Spine CT; sagittal view; image 160 mm wide; bone window
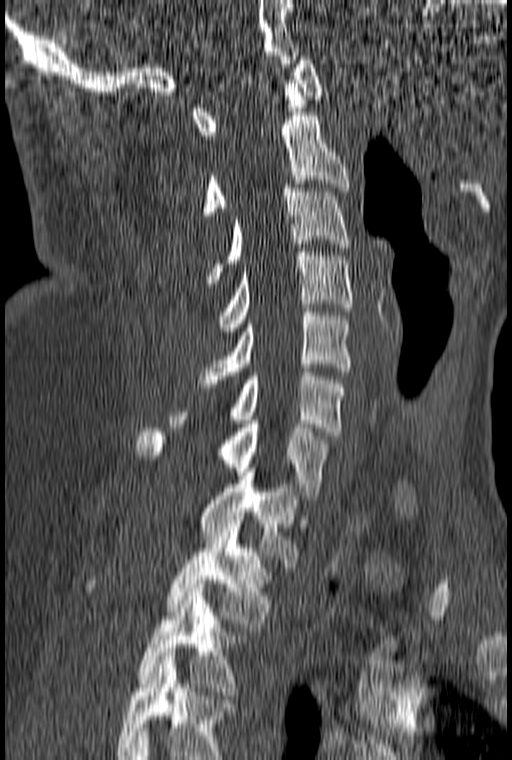
Each box given as x1,y1,x2,y2. This scan's labels start at C1 at the top and end at T3 at the bottom. 10 vertebrae labeled — C1 at x1=193, y1=56, x2=323, y2=139; C2 at x1=202, y1=112, x2=349, y2=215; C3 at x1=206, y1=188, x2=349, y2=283; C4 at x1=218, y1=252, x2=352, y2=335; C5 at x1=200, y1=308, x2=352, y2=387; C6 at x1=170, y1=368, x2=346, y2=435; C7 at x1=136, y1=420, x2=330, y2=499; T1 at x1=199, y1=468, x2=300, y2=567; T2 at x1=88, y1=520, x2=272, y2=631; T3 at x1=139, y1=584, x2=247, y2=695.